CT spine; sagittal reformat; Bone window (WL 400, WW 1800); 459x459 px; scan covers 16 annotated vertebrae
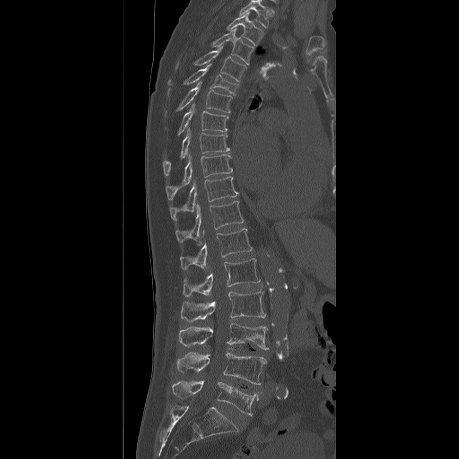 This scan's labels start at T2 at the top and end at L5 at the bottom.
<vertebrae><v name="T2" x1="226" y1="12" x2="262" y2="45"/><v name="T3" x1="212" y1="29" x2="253" y2="64"/><v name="T4" x1="175" y1="44" x2="246" y2="81"/><v name="T5" x1="168" y1="64" x2="239" y2="95"/><v name="T6" x1="177" y1="82" x2="232" y2="112"/><v name="T7" x1="178" y1="102" x2="228" y2="133"/><v name="T8" x1="163" y1="127" x2="229" y2="174"/><v name="T9" x1="165" y1="154" x2="231" y2="198"/><v name="T10" x1="170" y1="176" x2="237" y2="220"/><v name="T11" x1="176" y1="201" x2="243" y2="242"/><v name="T12" x1="180" y1="228" x2="252" y2="270"/><v name="L1" x1="183" y1="258" x2="260" y2="297"/><v name="L2" x1="181" y1="291" x2="265" y2="325"/><v name="L3" x1="177" y1="323" x2="267" y2="349"/><v name="L4" x1="175" y1="352" x2="266" y2="384"/><v name="L5" x1="171" y1="377" x2="258" y2="414"/></vertebrae>